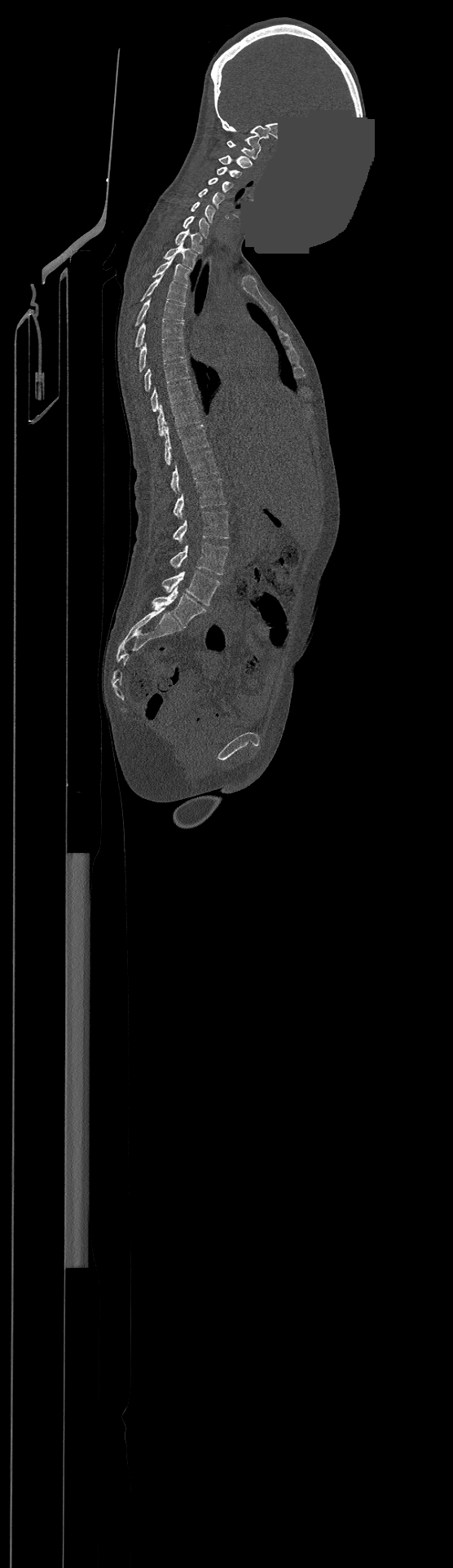 CT spine · sagittal reformat · W/L 1800/400 HU · part of the image has been replaced by a constant value
Bounding boxes as [x1, y1, x2, y2] in pixel coordinates. The highest labeled vertebra in this scan is C1; the lowest is L4. 23 vertebrae labeled — C1 at [227, 140, 261, 159]; C2 at [219, 155, 252, 168]; C3 at [217, 166, 241, 178]; C4 at [209, 177, 232, 192]; C5 at [198, 188, 224, 207]; C6 at [191, 201, 215, 222]; C7 at [183, 216, 209, 237]; T1 at [175, 229, 201, 253]; T2 at [164, 242, 196, 268]; T3 at [152, 258, 189, 285]; T4 at [142, 275, 187, 304]; T5 at [136, 298, 185, 325]; T6 at [135, 320, 183, 347]; T7 at [139, 340, 185, 371]; T8 at [144, 360, 188, 391]; T9 at [150, 380, 194, 411]; T10 at [157, 402, 200, 435]; T11 at [165, 425, 209, 465]; T12 at [169, 450, 218, 492]; L1 at [174, 478, 226, 518]; L2 at [174, 510, 228, 543]; L3 at [169, 542, 228, 574]; L4 at [162, 571, 219, 605].